Spine CT; sagittal view; Bone window (WL 400, WW 1800)
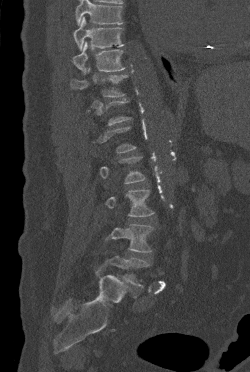

Box values are [left, top, right, bottom] in pixels.
Not every vertebra on this slice has a box: a vertebra is boxed only from the first to the last slice where its cross-section is at least a third of its largest, and this slice is outside that range for at least one of them.
No box is given to a vertebra that the top edge of the scan cuts off.
{"vertebrae":{"T9":[73,17,123,50],"T10":[72,41,124,74],"T11":[71,67,127,97],"L3":[105,189,154,216],"L4":[105,224,153,252],"L5":[106,256,149,286]}}